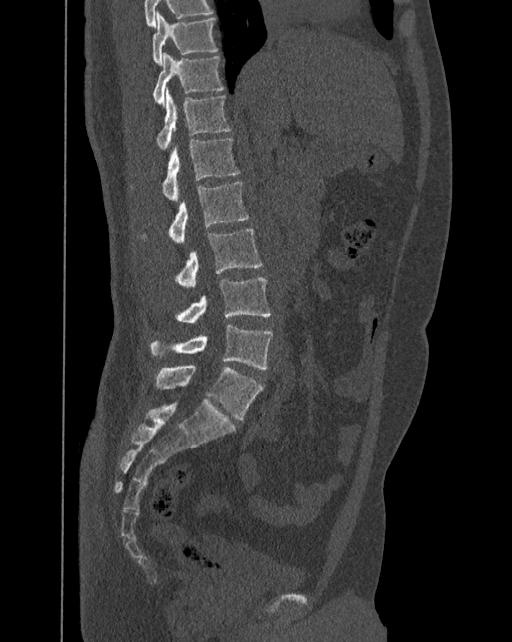
Spine computed tomography — sagittal view — Bone window (WL 400, WW 1800). Boxes are given in columns x1, y1, x2, y2, the pixel coordinates of their top-left and bottom-right corners.
In these labels the spine has an L6, a sixth lumbar vertebra below L5.
| vertebra | x1 | y1 | x2 | y2 |
|---|---|---|---|---|
| T10 | 153 | 11 | 217 | 65 |
| T11 | 153 | 52 | 223 | 107 |
| T12 | 157 | 88 | 230 | 149 |
| L1 | 163 | 138 | 239 | 201 |
| L2 | 168 | 182 | 248 | 244 |
| L3 | 176 | 229 | 261 | 288 |
| L4 | 177 | 277 | 271 | 323 |
| L5 | 150 | 324 | 272 | 369 |
| L6 | 155 | 364 | 263 | 420 |